Spine CT. Sagittal slice 216/512. W/L 1800/400 HU
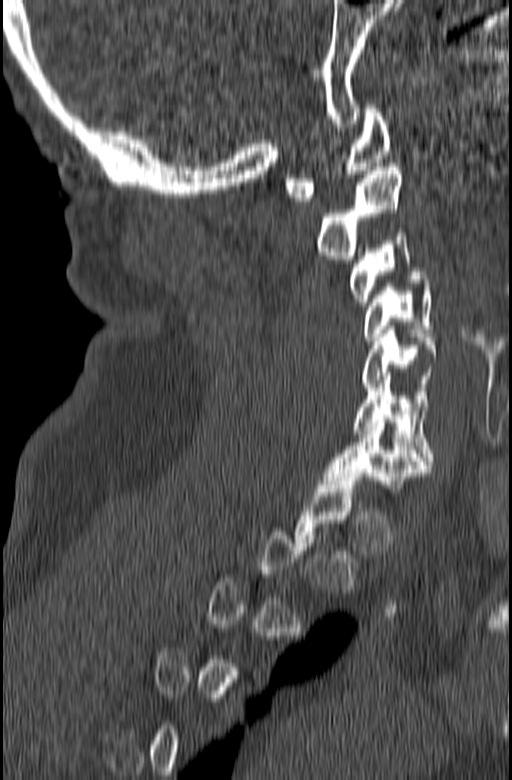
Bounding boxes as [x1, y1, x2, y2] in pixel coordinates.
Each vertebra is boxed only on the slices from the first to the last where its cross-section reaches a third of its largest, so a slice outside that range leaves it unboxed.
Vertebra bounding boxes:
- C1: [284, 105, 391, 201]
- C2: [314, 163, 403, 259]
- C3: [349, 233, 423, 305]
- C4: [364, 275, 434, 340]
- C5: [361, 330, 437, 391]
- C6: [352, 376, 434, 464]
- C7: [324, 419, 431, 492]